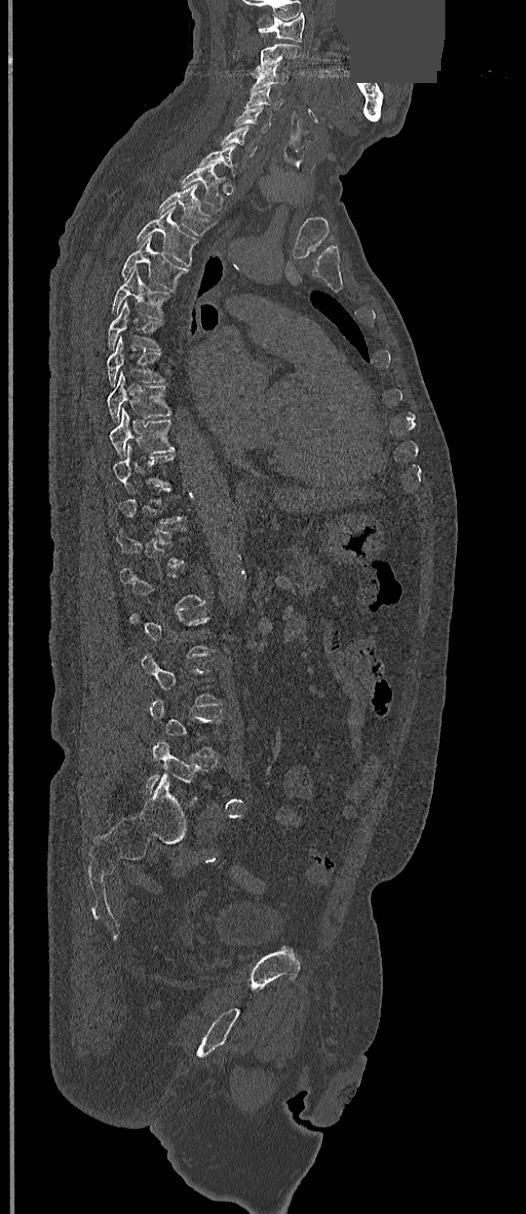
CT; sagittal view; part of the image is a flat gray fill, not anatomy. Boxes: x1 y1 x2 y2 (pixel coords, space-separated).
A vertebra is boxed only from the first to the last slice where its cross-section is at least a third of its largest; slices outside that range leave it without a box.
C1: 259 13 305 42
C2: 252 43 300 76
C3: 252 64 289 88
C4: 245 87 281 109
C5: 234 106 272 133
C6: 221 126 257 156
C7: 198 144 236 173
T1: 181 166 222 210
T2: 158 184 216 236
T3: 136 208 197 266
T4: 121 237 186 289
T5: 110 268 168 319
T6: 109 301 159 350
T7: 107 337 163 385
T8: 107 371 170 420
T9: 109 409 174 456
L5: 144 741 207 799